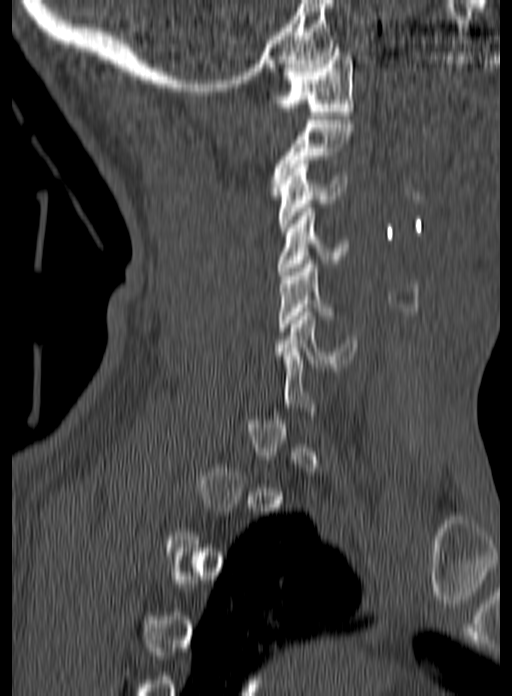

Computed tomography of the spine; image 160 mm wide; sagittal view; bone-window reconstruction. Each box given as x1,y1,x2,y2.
A vertebra gets a box only on the slices from the first to the last where its cross-section is at least a third of its largest; on a slice outside that range it gets none.
Vertebra bounding boxes:
- C6: x1=273, y1=308, x2=357, y2=367
- C5: x1=278, y1=260, x2=333, y2=331
- C4: x1=276, y1=208, x2=350, y2=275
- C3: x1=278, y1=160, x2=346, y2=231
- C2: x1=271, y1=120, x2=354, y2=195
- C1: x1=270, y1=48, x2=353, y2=119